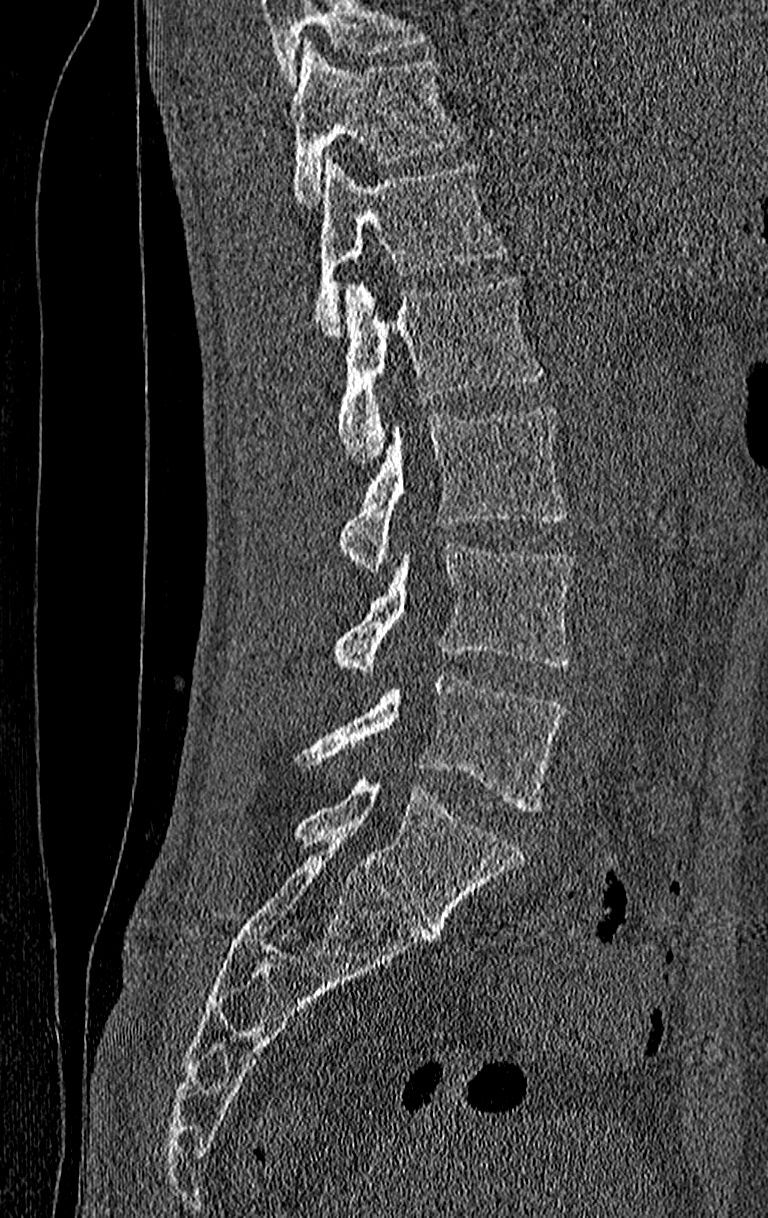

Spine computed tomography; sagittal view; bone-window reconstruction
Box values are [left, top, right, bottom] in pixels.
Where the top of the scan cuts through a vertebra, that vertebra gets no label or box.
This scan's labels start at T11 at the top and end at L4 at the bottom.
{"vertebrae":{"T11":[291,41,462,205],"T12":[313,158,506,336],"L1":[335,275,543,465],"L2":[339,406,565,570],"L3":[331,541,575,672],"L4":[299,673,565,812]}}